CT · Sagittal slice 291/512 · image 363 mm wide · bone window · 7 vertebrae labeled in this scan
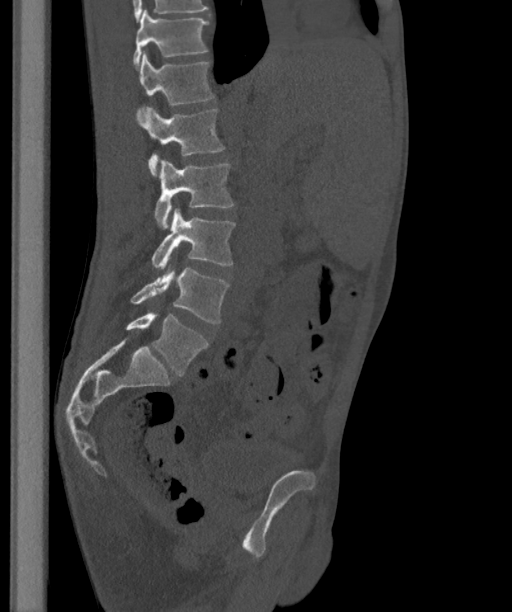
Columns x1, y1, x2, y2 give each box's top-left and bottom-right pixels.
The labels name a sixth lumbar vertebra for this spine: L6, after L5.
| vertebra | x1 | y1 | x2 | y2 |
|---|---|---|---|---|
| T12 | 132 | 9 | 209 | 68 |
| L1 | 136 | 51 | 215 | 121 |
| L2 | 140 | 107 | 224 | 177 |
| L3 | 154 | 159 | 233 | 229 |
| L4 | 152 | 208 | 236 | 268 |
| L5 | 131 | 268 | 229 | 323 |
| L6 | 125 | 312 | 208 | 375 |